Spine computed tomography. sagittal view. bone-window reconstruction
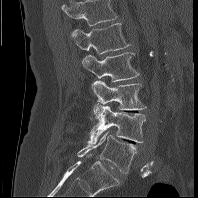
Box edges are left/top/right/bottom in pixels.
The highest labeled vertebra in this scan is L1; the lowest is L5.
L1: left=71, top=23, right=130, bottom=54
L2: left=81, top=52, right=139, bottom=81
L3: left=91, top=80, right=146, bottom=118
L4: left=88, top=106, right=145, bottom=143
L5: left=77, top=130, right=136, bottom=173